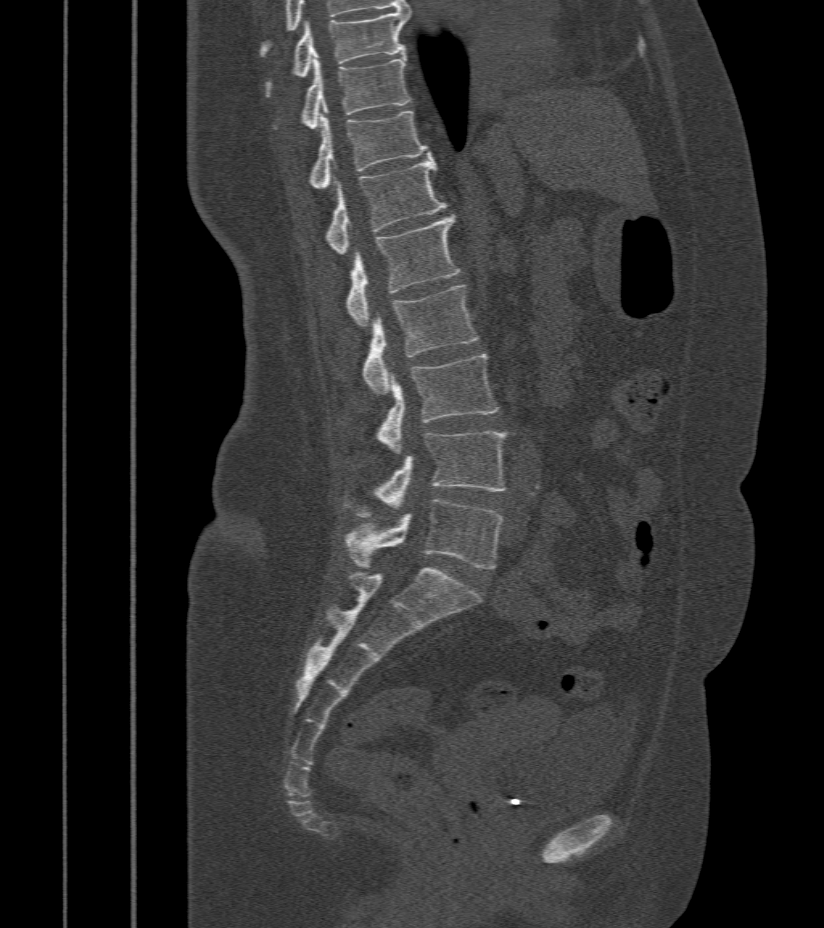
Computed tomography of the spine. sagittal reformat
<vertebrae><v name="T9" x1="266" y1="11" x2="409" y2="96"/><v name="T10" x1="274" y1="57" x2="411" y2="128"/><v name="T11" x1="307" y1="107" x2="430" y2="188"/><v name="T12" x1="325" y1="159" x2="446" y2="254"/><v name="L1" x1="346" y1="215" x2="461" y2="326"/><v name="L2" x1="362" y1="285" x2="479" y2="394"/><v name="L3" x1="377" y1="355" x2="500" y2="452"/><v name="L4" x1="344" y1="431" x2="508" y2="518"/><v name="L5" x1="344" y1="499" x2="503" y2="568"/></vertebrae>